Computed tomography of the spine. sagittal plane, index 314
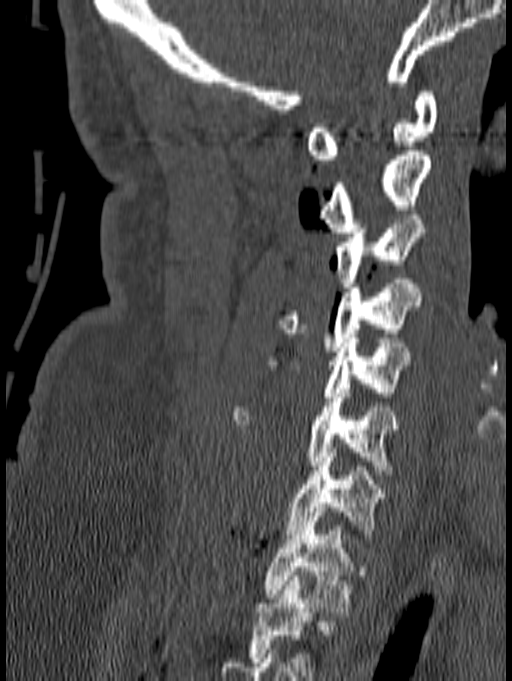 Coordinates as <box>x1,y1,x2,y2</box>.
The highest labeled vertebra in this scan is C1; the lowest is T1.
C1: <box>306,91,437,164</box>
C2: <box>319,151,431,232</box>
C3: <box>336,215,425,287</box>
C4: <box>274,279,420,351</box>
C5: <box>262,338,410,401</box>
C6: <box>231,389,399,474</box>
C7: <box>286,448,388,543</box>
T1: <box>263,507,365,612</box>